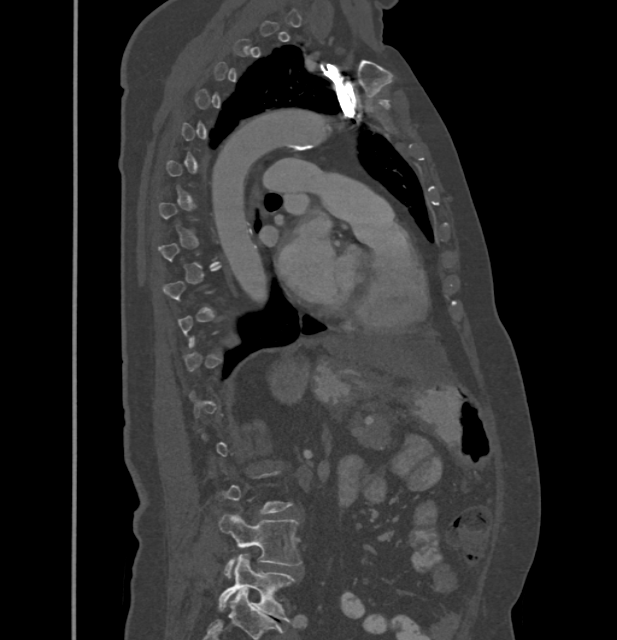
CT, spine. sagittal view. bone window
Boxes are (x1, y1, x2, y2) in pixels. Not every vertebra on this slice has a box: a vertebra is boxed only from the first to the last slice where its cross-section is at least a third of its largest, and this slice is outside that range for at least one of them. Vertebrae labeled: L5 at (218, 555, 294, 622), L4 at (219, 513, 302, 578).